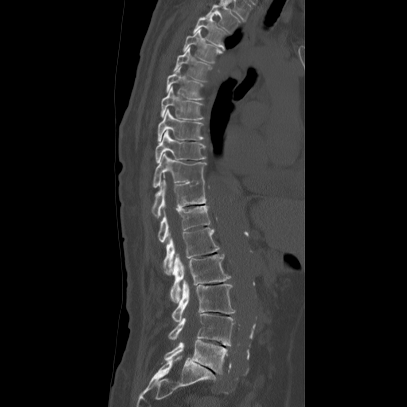

CT, spine. the image spans 407 mm across. sagittal view. 407x407 px. Bounding boxes as [x1, y1, x2, y2] in pixel coordinates. 16 vertebrae labeled — T2 at [203, 1, 241, 32]; T3 at [193, 15, 226, 49]; T4 at [182, 29, 222, 63]; T5 at [173, 47, 211, 82]; T6 at [166, 65, 203, 99]; T7 at [160, 86, 202, 120]; T8 at [157, 109, 202, 142]; T9 at [155, 130, 205, 163]; T10 at [152, 153, 206, 187]; T11 at [151, 180, 206, 217]; T12 at [157, 205, 210, 242]; L1 at [163, 227, 219, 275]; L2 at [168, 253, 229, 304]; L3 at [172, 279, 235, 323]; L4 at [168, 313, 234, 346]; L5 at [164, 339, 226, 373].